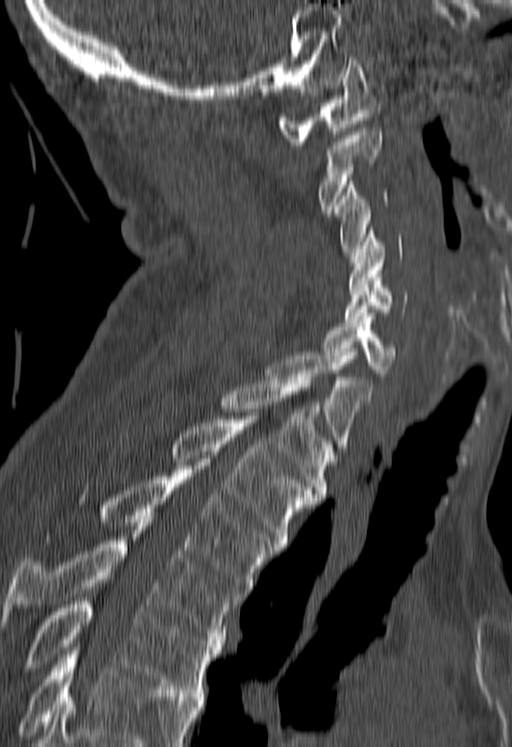

Spine CT. sagittal view. 512x747 px
Boxes are (x1, y1, x2, y2) in pixels. Where the bottom of the scan cuts through a vertebra, that vertebra gets no label or box. 12 vertebrae labeled — C1 at (277, 57, 381, 145); C2 at (319, 128, 381, 212); C3 at (335, 181, 387, 255); C4 at (348, 231, 402, 291); C5 at (345, 277, 408, 323); C6 at (322, 316, 395, 376); C7 at (265, 352, 371, 451); T1 at (220, 377, 336, 497); T2 at (169, 416, 316, 547); T3 at (98, 469, 276, 596); T4 at (0, 523, 236, 643); T5 at (27, 601, 222, 696).